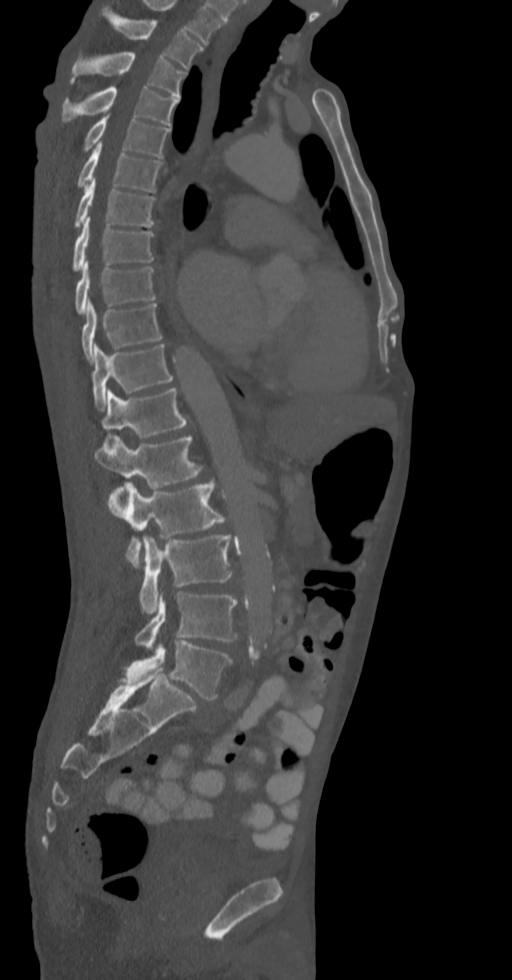

CT, spine · the image spans 336 mm across · sagittal view
<vertebrae><v name="T2" x1="103" y1="9" x2="203" y2="69"/><v name="T3" x1="70" y1="52" x2="185" y2="97"/><v name="T4" x1="62" y1="87" x2="179" y2="125"/><v name="T5" x1="84" y1="113" x2="169" y2="157"/><v name="T6" x1="77" y1="142" x2="162" y2="191"/><v name="T7" x1="74" y1="178" x2="154" y2="228"/><v name="T8" x1="73" y1="216" x2="153" y2="270"/><v name="T9" x1="74" y1="261" x2="156" y2="314"/><v name="T10" x1="82" y1="300" x2="162" y2="362"/><v name="T11" x1="91" y1="344" x2="172" y2="409"/><v name="T12" x1="102" y1="387" x2="186" y2="444"/><v name="L1" x1="94" y1="436" x2="203" y2="488"/><v name="L2" x1="108" y1="480" x2="232" y2="566"/><v name="L3" x1="138" y1="535" x2="232" y2="615"/><v name="L4" x1="135" y1="591" x2="238" y2="650"/><v name="L5" x1="121" y1="640" x2="232" y2="700"/></vertebrae>